CT spine — Sagittal slice 353/512 — image 140 mm wide
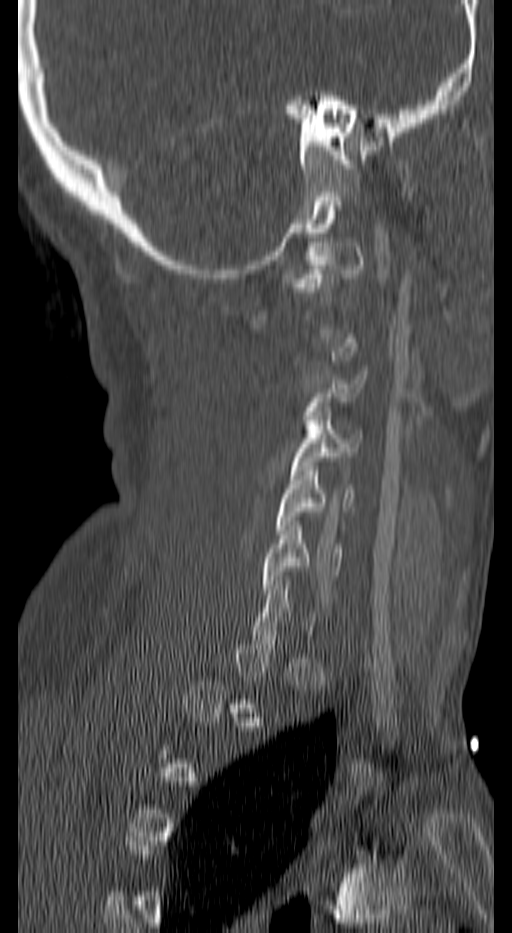

Bounding boxes as [x1, y1, x2, y2] in pixel coordinates.
Each vertebra is boxed only on the slices from the first to the last where its cross-section reaches a third of its largest, so a slice outside that range leaves it unboxed.
C3: [304, 375, 366, 433]
C4: [290, 411, 362, 479]
C5: [276, 466, 355, 534]
C6: [261, 521, 342, 593]